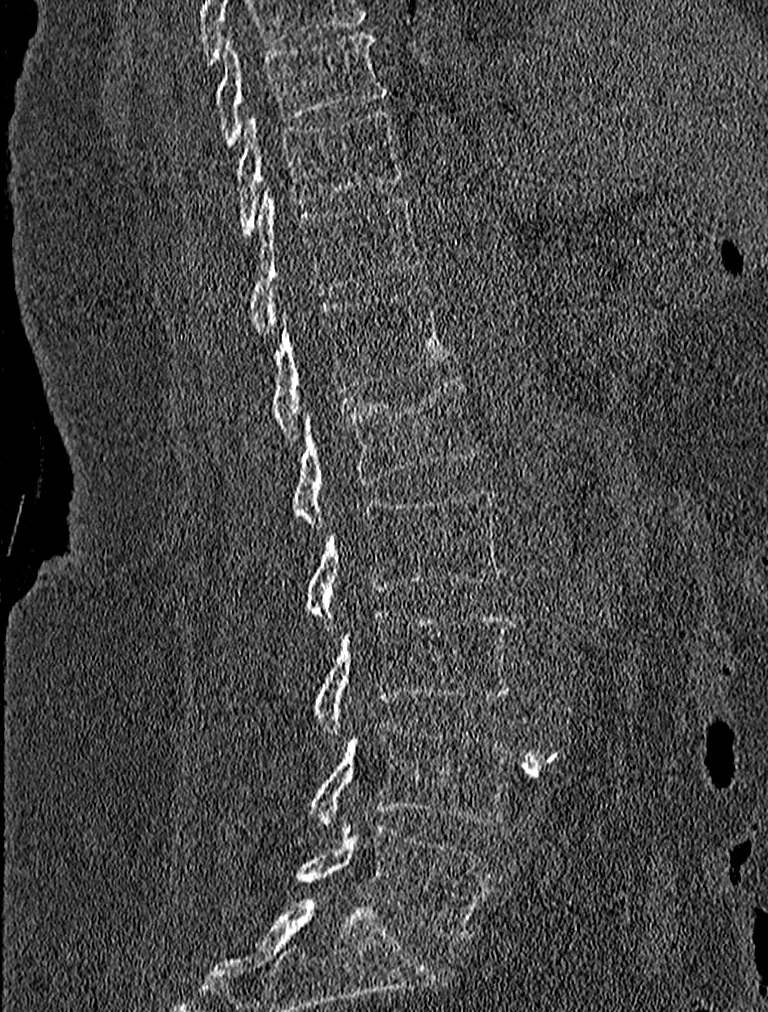 CT, spine; sagittal view; 227 mm across the image
Each vertebra maps to its box as [x1, y1, x2, y2], the pixel coordinates of its top-left and bottom-right corners.
{"vertebrae":{"T9":[215,33,387,145],"T10":[236,111,404,237],"T11":[249,190,417,334],"T12":[269,288,448,441],"L1":[293,376,478,526],"L2":[303,487,502,626],"L3":[313,611,515,739],"L4":[307,719,513,830],"L5":[297,824,492,941]}}